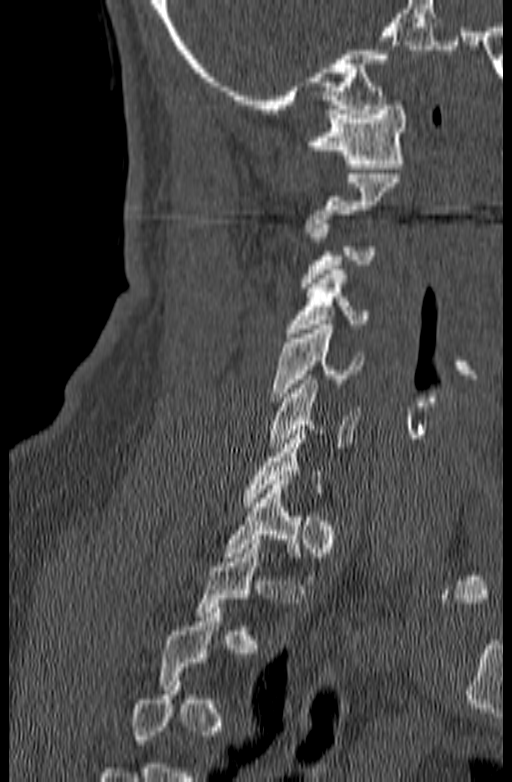
Spine CT. 140 mm image width. sagittal reformat
Each box given as x1,y1,x2,y2.
A vertebra gets a box only on the slices from the first to the last where its cross-section is at least a third of its largest; on a slice outside that range it gets none.
Vertebra bounding boxes:
- C1: x1=306, y1=101, x2=406, y2=168
- C4: x1=285, y1=265, x2=370, y2=337
- C5: x1=271, y1=325, x2=363, y2=401
- C6: x1=268, y1=375, x2=359, y2=452
- T1: x1=222, y1=480, x2=326, y2=580